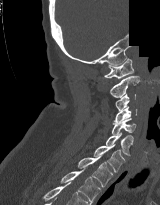 CT spine · sagittal view · Bone window (WL 400, WW 1800) · 160x205 px · part of the image is constant black where the scan was masked
Each vertebra maps to its box as [x1, y1, x2, y2], the pixel coordinates of its top-left and bottom-right corners.
{"vertebrae":{"C1":[104,58,133,78],"C2":[109,75,139,98],"C3":[115,94,135,110],"C4":[113,106,137,123],"C5":[111,118,136,134],"C6":[106,132,133,156],"C7":[93,144,125,172],"T1":[77,154,113,187],"T2":[60,168,101,204]}}